Spine CT · sagittal view · Bone window (WL 400, WW 1800)
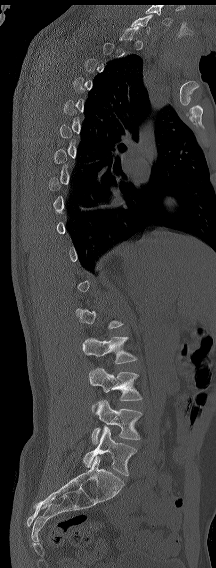
Each vertebra maps to its box as [x1, y1, x2, y2], the pixel coordinates of its top-left and bottom-right corners.
Each vertebra is boxed only on the slices from the first to the last where its cross-section reaches a third of its largest, so a slice outside that range leaves it unboxed.
Labels in this scan begin with C7 at the top and end with L6 at the bottom.
In these labels the spine has an L6, a sixth lumbar vertebra below L5.
{"vertebrae":{"C7":[131,14,152,34],"L3":[82,336,137,364],"L4":[88,367,142,413],"L5":[91,400,142,444],"L6":[83,426,136,476]}}